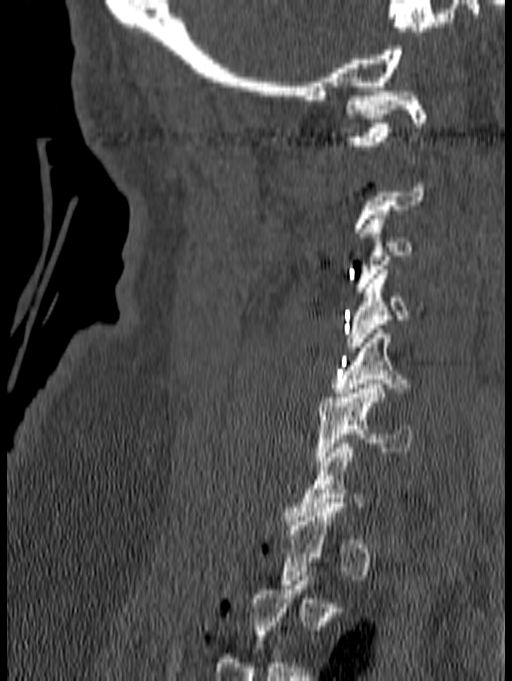

CT, spine · sagittal view · image 140 mm wide

A vertebra gets a box only on the slices from the first to the last where its cross-section is at least a third of its largest; on a slice outside that range it gets none.
<vertebrae><v name="C6" x1="315" y1="384" x2="414" y2="465"/><v name="C5" x1="329" y1="329" x2="420" y2="397"/><v name="C4" x1="345" y1="270" x2="425" y2="351"/><v name="C3" x1="355" y1="210" x2="412" y2="292"/><v name="C1" x1="344" y1="91" x2="427" y2="145"/></vertebrae>